CT, spine — image width 500 mm — sagittal view — 556x600 px
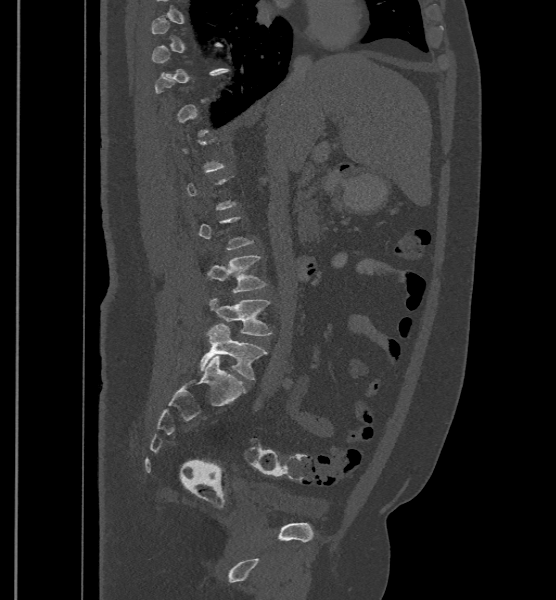
Bounding boxes as [x1, y1, x2, y2] in pixel coordinates. Each vertebra is boxed only on the slices from the first to the last where its cross-section reaches a third of its largest, so a slice outside that range leaves it unboxed. These labels give the spine a sixth lumbar vertebra, L6, below L5. 3 vertebrae labeled — L6 at [200, 323, 267, 379]; L5 at [208, 297, 271, 336]; L4 at [206, 256, 267, 292].